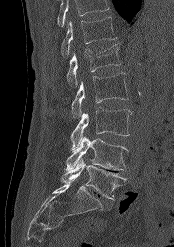 CT; sagittal view; 174x247 px; the image spans 174 mm across
Each box given as x1,y1,x2,y2.
Vertebrae that run past the top of the scan are left unlabeled.
L5: x1=61, y1=158, x2=126, y2=200
L4: x1=66, y1=136, x2=128, y2=170
L3: x1=71, y1=107, x2=131, y2=149
L2: x1=71, y1=73, x2=129, y2=118
L1: x1=66, y1=44, x2=121, y2=86
T12: x1=61, y1=17, x2=117, y2=57